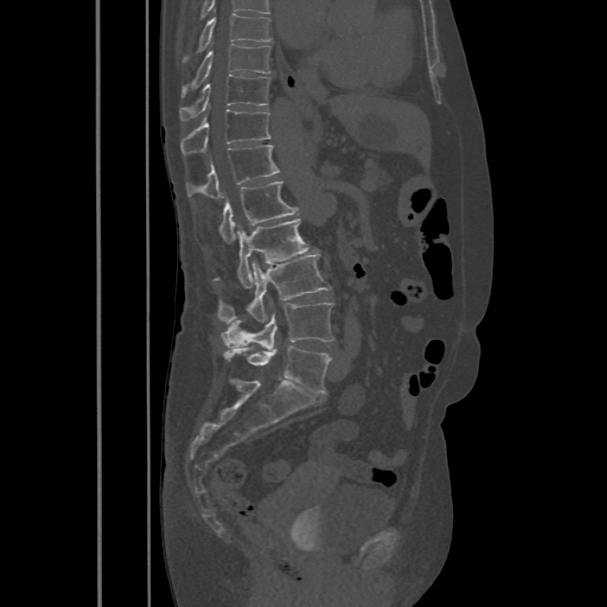

Spine computed tomography · sagittal view · image width 486 mm
Boxes are (x1, y1, x2, y2) in pixels.
Labels in this scan begin with T8 at the top and end with L5 at the bottom.
Vertebra bounding boxes:
- L5: (224, 346, 331, 392)
- L4: (221, 302, 334, 350)
- L3: (217, 255, 331, 324)
- L2: (214, 218, 309, 289)
- L1: (218, 181, 299, 244)
- T12: (186, 145, 279, 199)
- T11: (180, 110, 271, 155)
- T10: (179, 75, 271, 121)
- T9: (181, 43, 271, 97)
- T8: (183, 13, 272, 62)